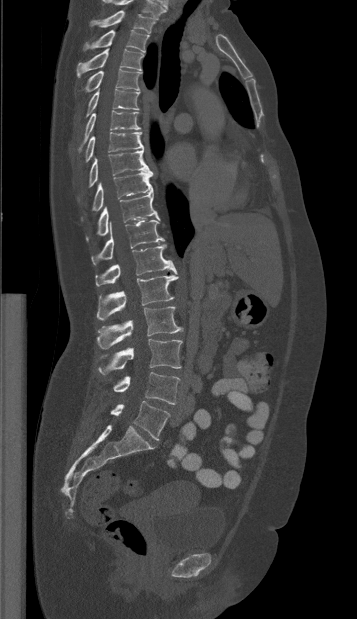 Spine computed tomography; sagittal reformat; 357x619 px
Bounding boxes as [x1, y1, x2, y2] in pixel coordinates.
This scan's labels start at T1 at the top and end at L5 at the bottom.
L5: [110, 401, 170, 440]
L4: [113, 372, 179, 404]
L3: [98, 339, 182, 375]
L2: [97, 307, 182, 349]
L1: [96, 275, 178, 320]
T12: [95, 244, 177, 286]
T11: [91, 220, 164, 265]
T10: [86, 188, 159, 241]
T9: [81, 171, 152, 220]
T8: [77, 149, 149, 199]
T7: [85, 132, 143, 162]
T6: [77, 110, 140, 151]
T5: [85, 88, 139, 117]
T4: [83, 69, 139, 92]
T3: [76, 48, 143, 77]
T2: [83, 29, 149, 52]
T1: [90, 10, 155, 33]